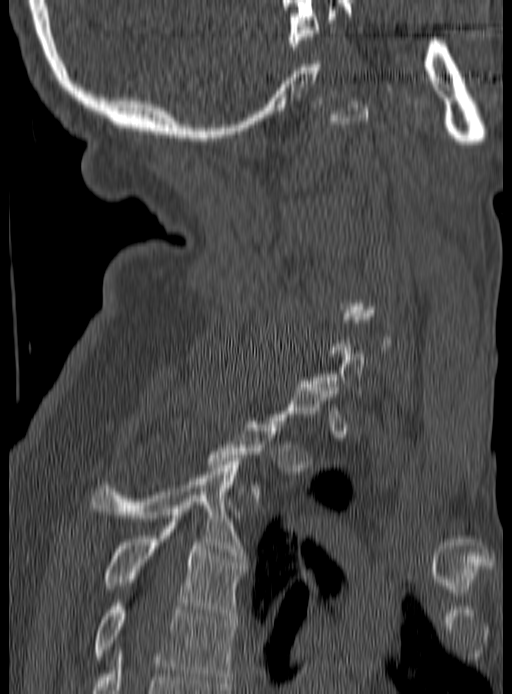
CT, spine · sagittal view · W/L 1800/400 HU · 512x694 px
Boxes are (x1, y1, x2, y2) in pixels.
Each vertebra is boxed only on the slices from the first to the last where its cross-section reaches a third of its largest, so a slice outside that range leaves it unboxed.
T3: (92, 458, 245, 558)
T4: (106, 522, 245, 619)
T5: (95, 603, 237, 686)